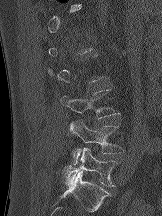 Spine CT. sagittal view. Bone window (WL 400, WW 1800). 162x216 px
Coordinates as <box>x1,y1,x2,y2</box>.
A vertebra gets a box only on the slices from the first to the last where its cross-section is at least a third of its largest; on a slice outside that range it gets none.
L3: <box>60,89,120,119</box>
L4: <box>70,119,123,164</box>
L5: <box>63,147,117,186</box>